Computed tomography of the spine · sagittal view · 477 mm wide · 712x702 px · scan covers 8 annotated vertebrae
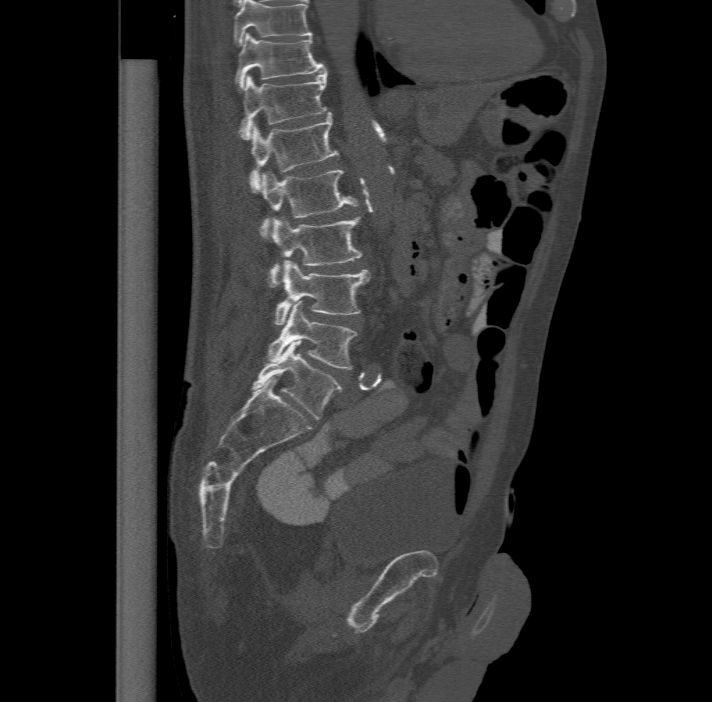

Box edges are left/top/right/bottom in pixels.
The highest labeled vertebra in this scan is T11; the lowest is L6.
In these labels the spine has an L6, a sixth lumbar vertebra below L5.
T11: left=234, top=33, right=324, bottom=88
T12: left=239, top=68, right=327, bottom=138
L1: left=249, top=112, right=338, bottom=190
L2: left=259, top=168, right=359, bottom=238
L3: left=268, top=215, right=362, bottom=285
L4: left=274, top=259, right=369, bottom=324
L5: left=267, top=301, right=358, bottom=368
L6: left=252, top=340, right=342, bottom=419